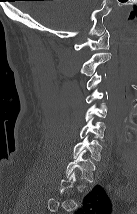 CT · sagittal view · Bone window (WL 400, WW 1800)
Each vertebra maps to its box as [x1, y1, x2, y2], the pixel coordinates of its top-left and bottom-right corners.
A vertebra is boxed only from the first to the last slice where its cross-section is at least a third of its largest; slices outside that range leave it without a box.
{"vertebrae":{"T1":[66,150,95,182],"C7":[73,135,102,160],"C6":[80,118,105,141],"C5":[85,103,107,121],"C4":[85,88,107,103],"C3":[87,72,105,90],"C2":[80,53,111,76],"C1":[74,30,109,50]}}